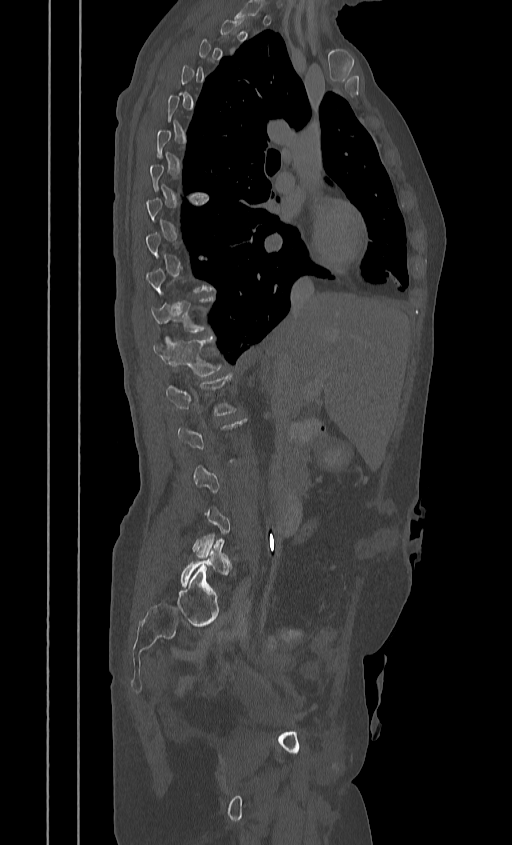

Computed tomography of the spine; image 384 mm wide; sagittal view; bone window; 512x845 px
Boxes are given in columns x1, y1, x2, y2, the pixel coordinates of their top-left and bottom-right corners.
A vertebra gets a box only on the slices from the first to the last where its cross-section is at least a third of its largest; on a slice outside that range it gets none.
| vertebra | x1 | y1 | x2 | y2 |
|---|---|---|---|---|
| L5 | 180 | 539 | 231 | 586 |
| L1 | 165 | 375 | 236 | 415 |
| T12 | 153 | 337 | 223 | 376 |
| T11 | 150 | 296 | 213 | 332 |